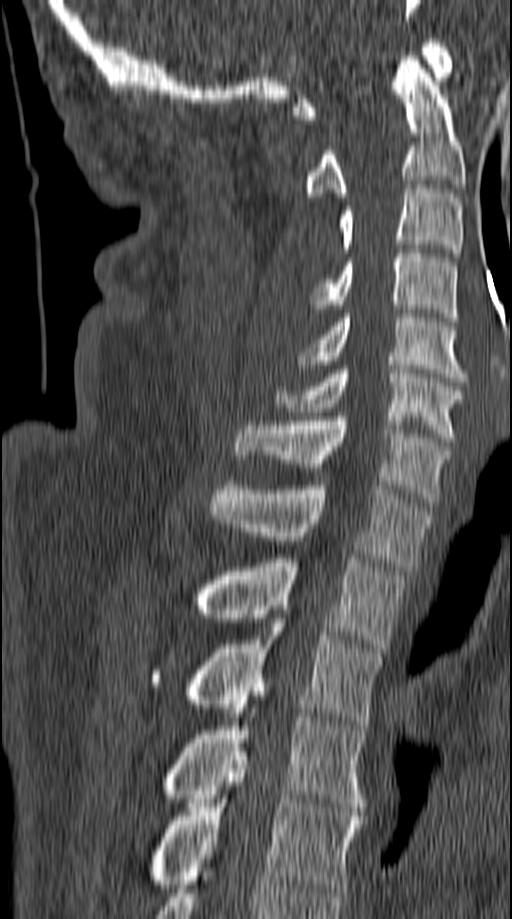 Spine CT — sagittal reformat

<vertebrae><v name="C1" x1="293" y1="39" x2="452" y2="119"/><v name="C2" x1="303" y1="56" x2="464" y2="201"/><v name="C3" x1="338" y1="185" x2="463" y2="257"/><v name="C4" x1="310" y1="249" x2="457" y2="321"/><v name="C5" x1="298" y1="314" x2="467" y2="381"/><v name="C6" x1="275" y1="365" x2="464" y2="441"/><v name="C7" x1="235" y1="412" x2="450" y2="502"/><v name="T1" x1="211" y1="481" x2="430" y2="570"/><v name="T2" x1="197" y1="554" x2="406" y2="652"/><v name="T3" x1="151" y1="619" x2="382" y2="725"/><v name="T4" x1="163" y1="700" x2="367" y2="811"/><v name="T5" x1="150" y1="756" x2="364" y2="892"/></vertebrae>